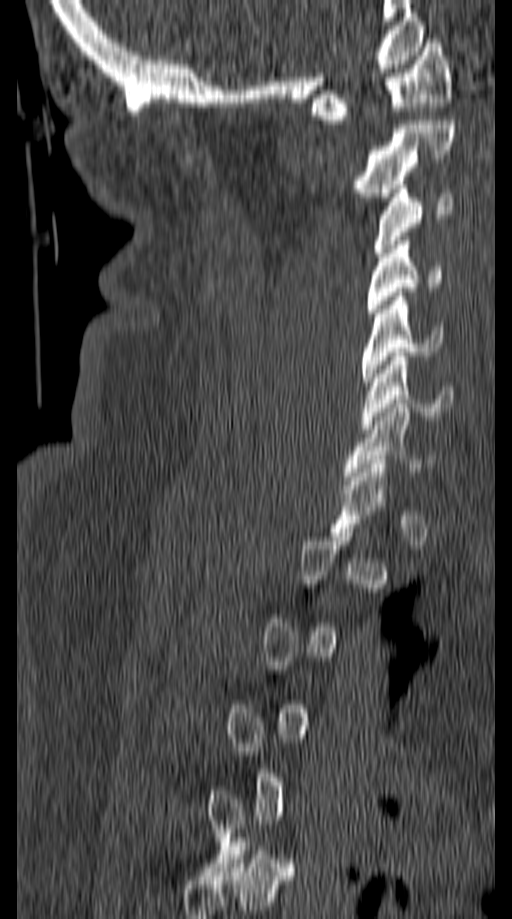
CT spine — 149 mm across the image — sagittal view — 512x919 px
Not every vertebra on this slice has a box: a vertebra is boxed only from the first to the last slice where its cross-section is at least a third of its largest, and this slice is outside that range for at least one of them.
<vertebrae><v name="C6" x1="362" y1="352" x2="458" y2="429"/><v name="C5" x1="362" y1="292" x2="443" y2="386"/><v name="C4" x1="366" y1="241" x2="440" y2="313"/><v name="C3" x1="372" y1="185" x2="452" y2="257"/><v name="C2" x1="355" y1="120" x2="454" y2="201"/><v name="C1" x1="312" y1="39" x2="451" y2="124"/></vertebrae>